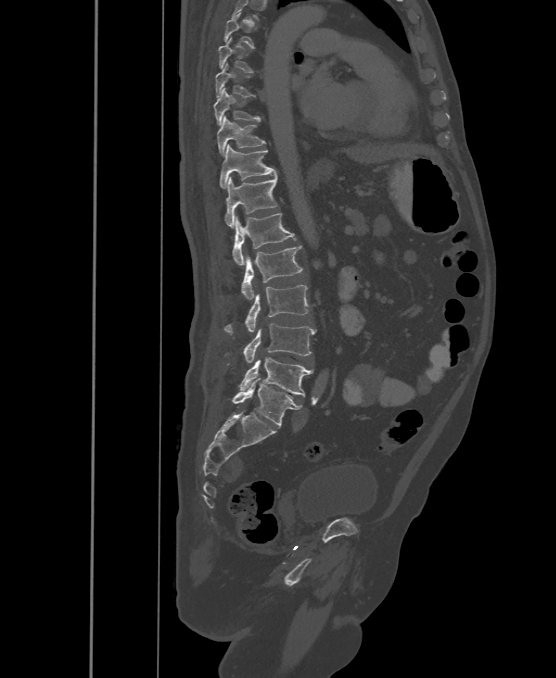

CT; sagittal reformat; 500 mm wide; Bone window (WL 400, WW 1800); 556x678 px
A vertebra is boxed only from the first to the last slice where its cross-section is at least a third of its largest; slices outside that range leave it without a box.
In these labels the spine has an L6, a sixth lumbar vertebra below L5.
<vertebrae><v name="T8" x1="216" y1="64" x2="255" y2="97"/><v name="T9" x1="214" y1="88" x2="261" y2="125"/><v name="T10" x1="217" y1="116" x2="265" y2="155"/><v name="T11" x1="220" y1="145" x2="276" y2="188"/><v name="T12" x1="225" y1="175" x2="277" y2="228"/><v name="L1" x1="232" y1="214" x2="295" y2="265"/><v name="L2" x1="241" y1="246" x2="303" y2="299"/><v name="L3" x1="224" y1="285" x2="308" y2="332"/><v name="L4" x1="243" y1="324" x2="316" y2="363"/><v name="L5" x1="239" y1="357" x2="313" y2="396"/><v name="L6" x1="232" y1="378" x2="302" y2="426"/></vertebrae>